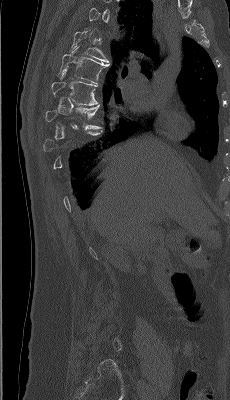
CT spine. sagittal view. bone-window reconstruction. 230x400 px
Each vertebra maps to its box as [x1, y1, x2, y2], the pixel coordinates of its top-left and bottom-right corners.
A vertebra is boxed only from the first to the last slice where its cross-section is at least a third of its largest; slices outside that range leave it without a box.
{"vertebrae":{"T7":[51,69,98,105],"T6":[57,46,110,84],"T5":[70,29,108,62]}}